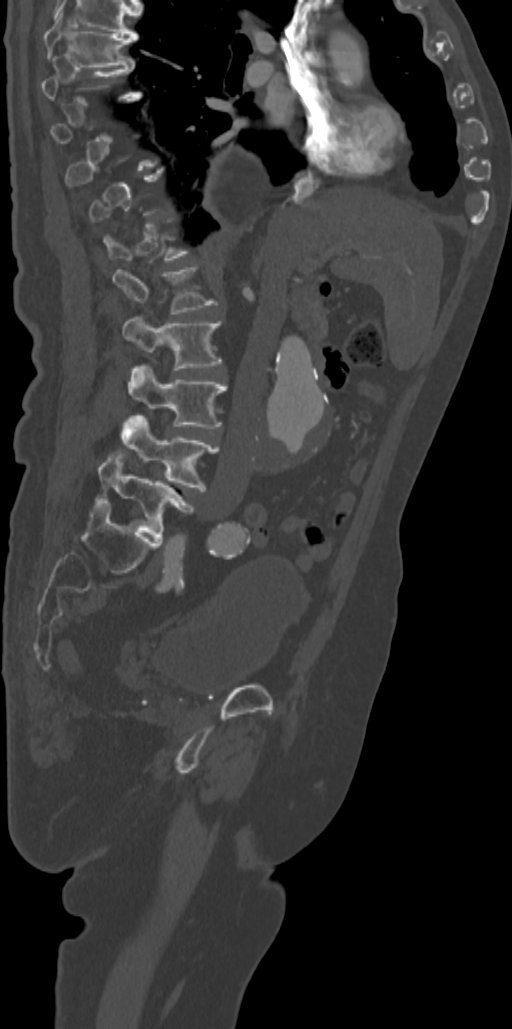

Spine computed tomography — the image spans 342 mm across — sagittal reformat

Each row gives a vertebra's box as x1, y1, x2, y2 in pixels: top-left corner, then bottom-right corner.
Each vertebra is boxed only on the slices from the first to the last where its cross-section reaches a third of its largest, so a slice outside that range leaves it unboxed.
| vertebra | x1 | y1 | x2 | y2 |
|---|---|---|---|---|
| T7 | 43 | 9 | 137 | 66 |
| L1 | 112 | 267 | 214 | 314 |
| L2 | 123 | 317 | 220 | 370 |
| L3 | 129 | 364 | 226 | 428 |
| L4 | 121 | 413 | 217 | 491 |
| L5 | 99 | 452 | 193 | 538 |